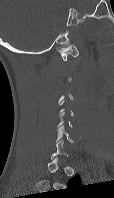

Spine CT — sagittal view — Bone window (WL 400, WW 1800)

Boxes are (x1, y1, x2, y2) in pixels.
Not every vertebra on this slice has a box: a vertebra is boxed only from the first to the last slice where its cross-section is at least a third of its largest, and this slice is outside that range for at least one of them.
C1: (56, 44, 78, 60)
C6: (56, 125, 74, 142)